Computed tomography of the spine · sagittal view · 174x247 px · 174 mm across the image · 6 vertebrae labeled in this scan
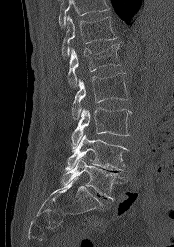

Box edges are left/top/right/bottom in pixels.
Vertebrae that run past the top of the scan are left unlabeled.
T12: left=61, top=15, right=117, bottom=58
L1: left=67, top=44, right=121, bottom=87
L2: left=71, top=73, right=128, bottom=119
L3: left=71, top=108, right=131, bottom=150
L4: left=65, top=134, right=128, bottom=170
L5: left=61, top=157, right=122, bottom=200